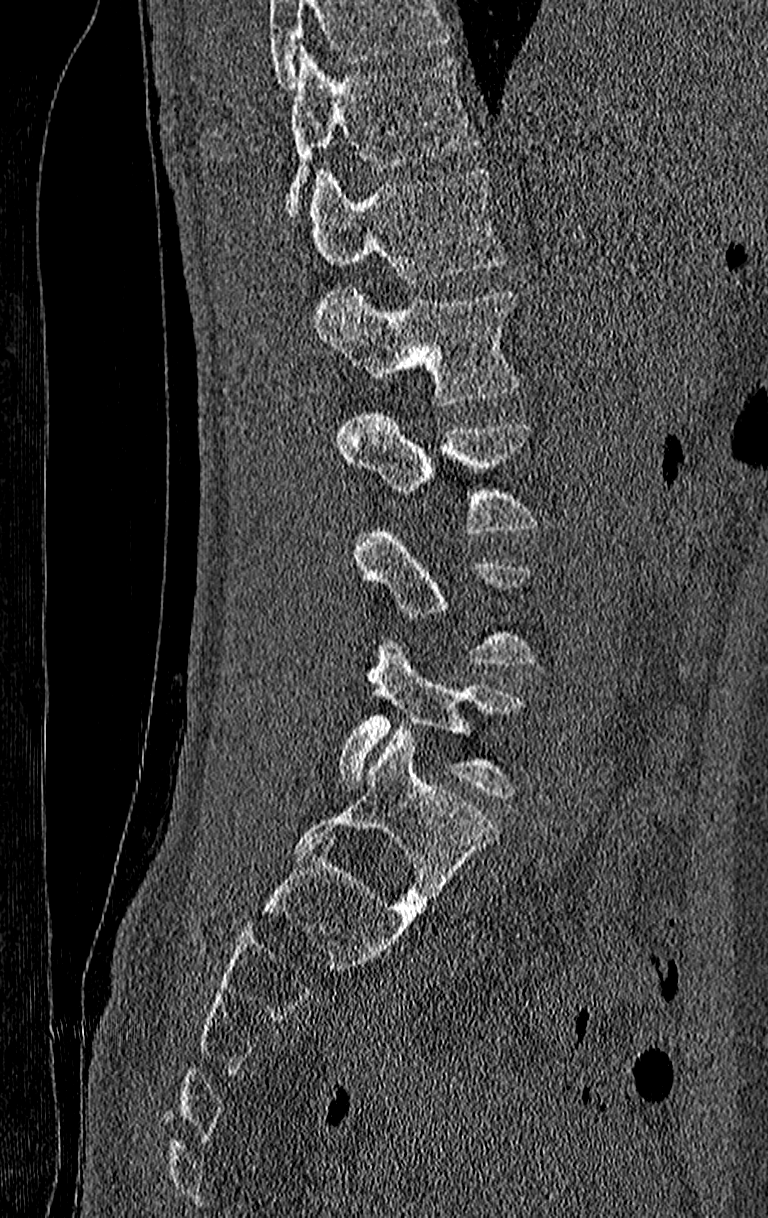
Computed tomography of the spine · sagittal view · bone-window reconstruction
Boxes: x1 y1 x2 y2 (pixel coords, space-separated).
A vertebra cut off by the top edge of the scan is not labeled and has no box.
In this scan, the topmost labeled vertebra is T11 and the lowest is L4.
Vertebra bounding boxes:
- T11: 288 48 480 220
- T12: 310 166 506 282
- L1: 313 286 521 405
- L2: 339 406 543 534
- L3: 353 523 539 666
- L4: 339 640 528 800